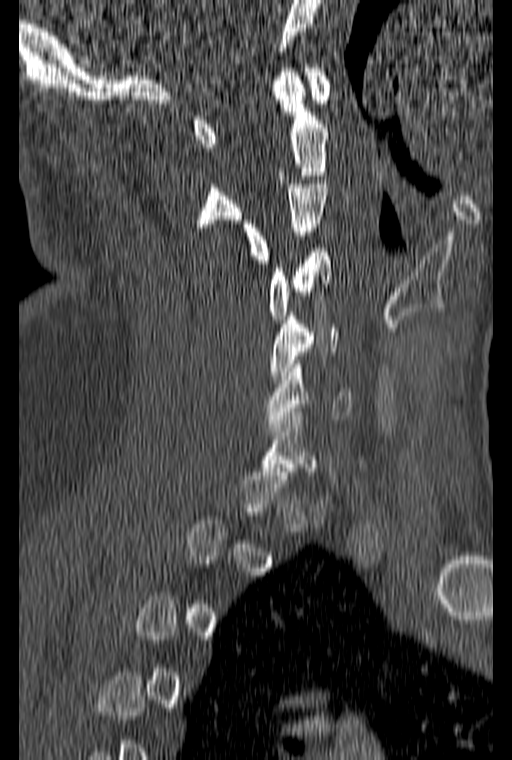 Computed tomography of the spine. sagittal reformat. bone-window reconstruction. 512x760 px
Boxes below are [x1, y1, x2, y2] in pixels.
Each vertebra is boxed only on the slices from the first to the last where its cross-section reaches a third of its largest, so a slice outside that range leaves it unboxed.
{"vertebrae":{"C1":[193,64,330,147],"C2":[194,68,329,227],"C3":[242,180,327,263],"C4":[268,248,330,319],"C5":[270,312,339,379],"C6":[265,360,352,427]}}